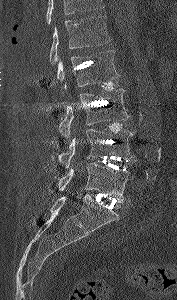

Computed tomography of the spine — sagittal view — 177x300 px
A vertebra cut off by the top edge of the scan is not labeled and has no box.
<vertebrae><v name="L1" x1="49" y1="15" x2="111" y2="64"/><v name="L2" x1="57" y1="50" x2="120" y2="90"/><v name="L3" x1="58" y1="89" x2="130" y2="140"/><v name="L4" x1="58" y1="128" x2="134" y2="169"/><v name="L5" x1="58" y1="163" x2="135" y2="202"/></vertebrae>